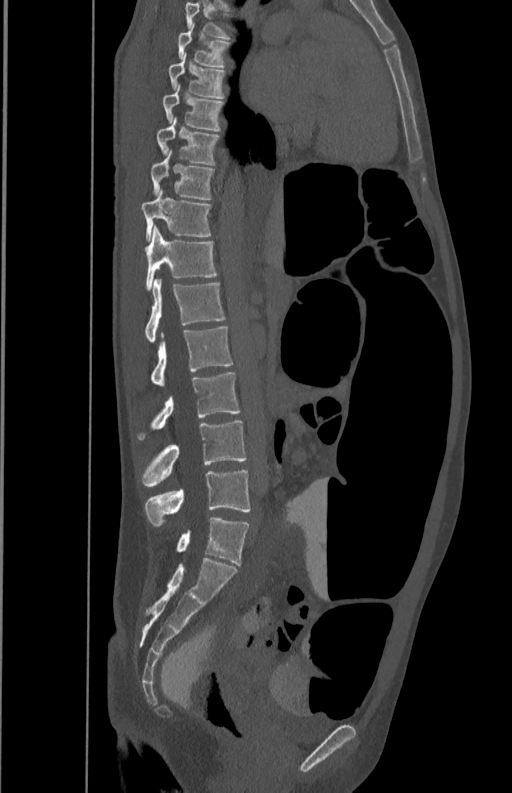 Computed tomography of the spine · sagittal view · 512x793 px
Boxes: x1 y1 x2 y2 (pixel coords, space-separated).
L5: 145 469 250 526
L4: 140 421 246 486
L3: 137 373 240 439
L2: 150 327 233 385
L1: 145 279 226 341
T12: 146 225 217 290
T11: 142 188 212 240
T10: 150 149 214 199
T9: 156 117 221 164
T8: 162 84 224 131
T7: 168 55 226 98
T6: 178 22 230 67
T5: 186 3 231 38